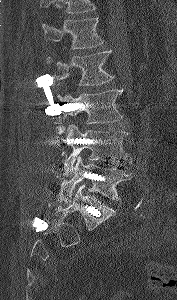

Spine computed tomography. sagittal reformat. bone-window reconstruction. 177x300 px. 177 mm image width

Each box given as x1,y1,x2,y2.
Where the top of the scan cuts through a vertebra, that vertebra gets no label or box.
Vertebra bounding boxes:
- L1: x1=42, y1=17, x2=104, y2=48
- L2: x1=46, y1=50, x2=114, y2=85
- L3: x1=57, y1=89, x2=123, y2=123
- L4: x1=63, y1=124, x2=130, y2=170
- L5: x1=59, y1=156, x2=132, y2=203